CT, spine · Sagittal slice 272/512 · scan covers 10 annotated vertebrae
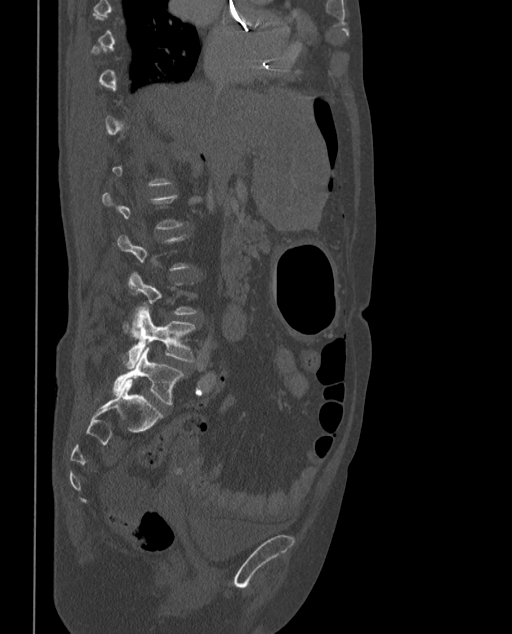
Boxes below are [x1, y1, x2, y2] in pixels.
A vertebra gets a box only on the slices from the first to the last where its cross-section is at least a third of its largest; on a slice outside that range it gets none.
In these labels the spine has an L6, a sixth lumbar vertebra below L5.
{"vertebrae":{"L5":[123,306,195,368],"L6":[113,347,184,405]}}